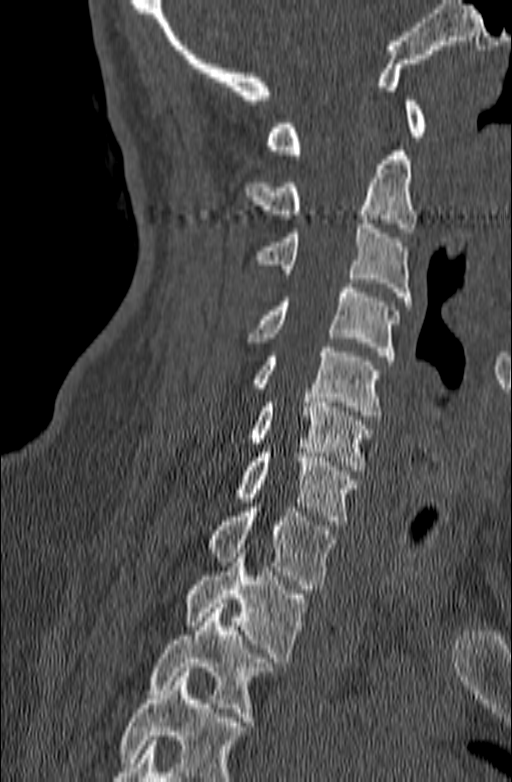

CT; sagittal view; bone window; 512x782 px; 140 mm wide. Each box given as x1,y1,x2,y2.
No box is given to a vertebra that the bottom edge of the scan cuts off.
C1: x1=265, y1=96, x2=426, y2=154
C2: x1=243, y1=146, x2=417, y2=232
C3: x1=257, y1=219, x2=411, y2=305
C4: x1=246, y1=283, x2=399, y2=360
C5: x1=250, y1=347, x2=381, y2=420
C6: x1=246, y1=393, x2=373, y2=470
C7: x1=232, y1=453, x2=359, y2=525
T1: x1=206, y1=507, x2=337, y2=589
T2: x1=184, y1=553, x2=308, y2=662
T3: x1=149, y1=603, x2=274, y2=721